Spine computed tomography · sagittal view · Bone window (WL 400, WW 1800) · 512x782 px
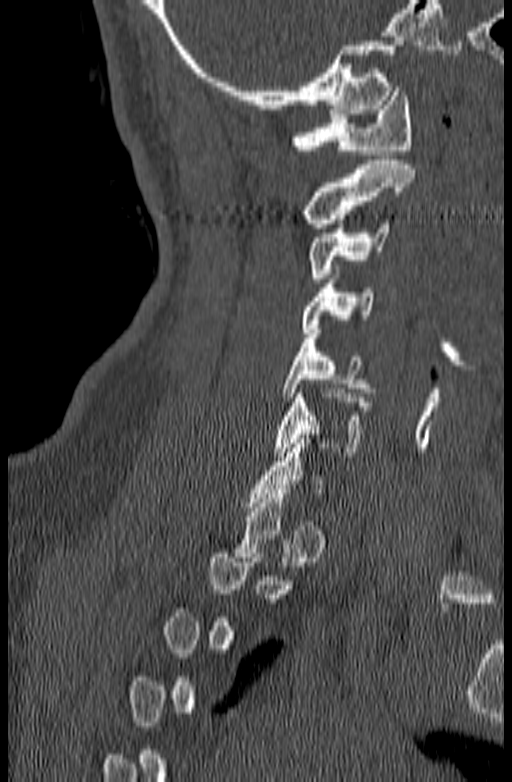 Bounding boxes as [x1, y1, x2, y2] in pixel coordinates.
Not every vertebra on this slice has a box: a vertebra is boxed only from the first to the last slice where its cross-section is at least a third of its largest, and this slice is outside that range for at least one of them.
C6: [274, 389, 371, 456]
C5: [282, 329, 374, 401]
C4: [301, 279, 373, 333]
C3: [309, 219, 389, 278]
C2: [305, 160, 415, 228]
C1: [292, 87, 411, 154]